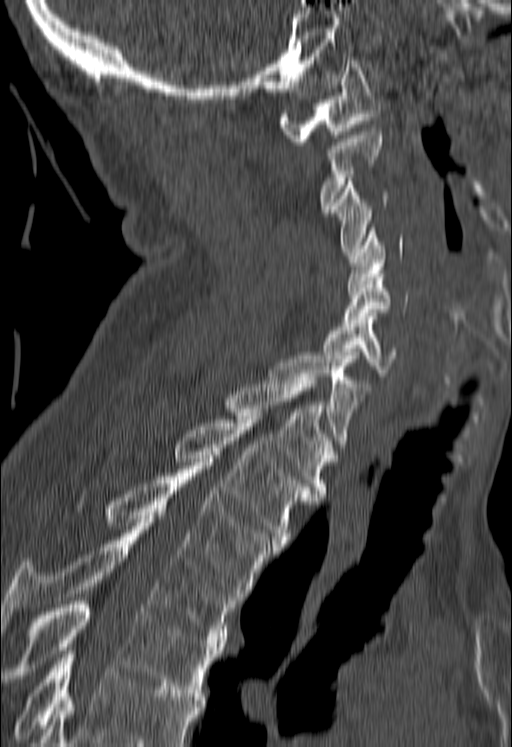
CT, spine — sagittal view — bone window
Vertebrae that run past the bottom of the scan are left unlabeled.
<vertebrae><v name="C1" x1="278" y1="57" x2="381" y2="145"/><v name="C2" x1="319" y1="128" x2="381" y2="212"/><v name="C3" x1="331" y1="178" x2="388" y2="255"/><v name="C4" x1="347" y1="228" x2="403" y2="291"/><v name="C5" x1="345" y1="274" x2="408" y2="323"/><v name="C6" x1="322" y1="316" x2="395" y2="376"/><v name="C7" x1="268" y1="356" x2="371" y2="451"/><v name="T1" x1="223" y1="377" x2="333" y2="497"/><v name="T2" x1="172" y1="416" x2="313" y2="547"/><v name="T3" x1="103" y1="469" x2="279" y2="596"/><v name="T4" x1="0" y1="519" x2="239" y2="643"/><v name="T5" x1="5" y1="601" x2="222" y2="696"/></vertebrae>